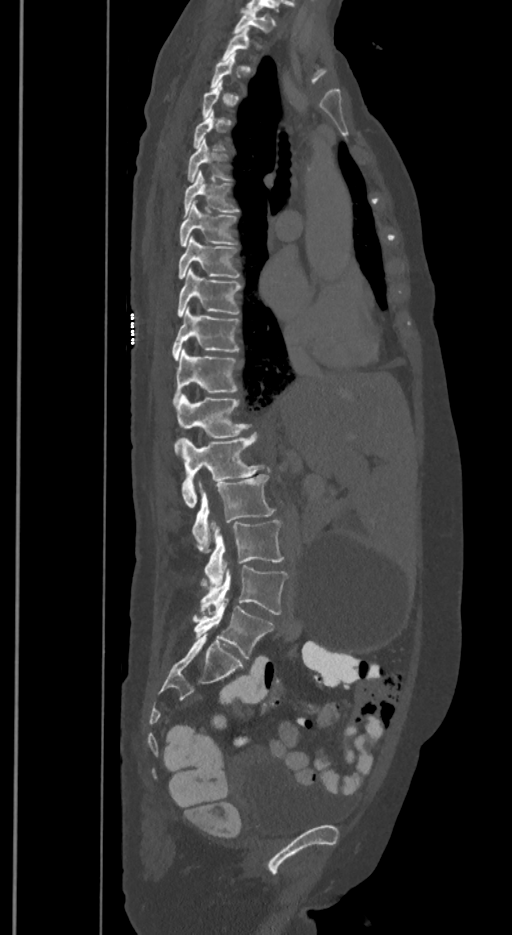

CT spine; sagittal reformat; Bone window (WL 400, WW 1800); 512x935 px
Each box given as x1,y1,x2,y2. A vertebra is boxed only from the first to the last slice where its cross-section is at least a third of its largest; slices outside that range leave it without a box. These labels give the spine a sixth lumbar vertebra, L6, below L5. Vertebrae labeled: T1 at x1=233, y1=9, x2=275, y2=33, T6 at x1=187, y1=140, x2=226, y2=181, T7 at x1=184, y1=170, x2=239, y2=216, T8 at x1=180, y1=200, x2=236, y2=247, T9 at x1=178, y1=236, x2=239, y2=278, T10 at x1=177, y1=267, x2=240, y2=316, T11 at x1=172, y1=307, x2=239, y2=361, T12 at x1=174, y1=349, x2=237, y2=403, L1 at x1=174, y1=395, x2=249, y2=455, L2 at x1=179, y1=433, x2=265, y2=507, L3 at x1=191, y1=474, x2=275, y2=552, L4 at x1=205, y1=520, x2=283, y2=586, L5 at x1=200, y1=563, x2=287, y2=615, L6 at x1=193, y1=598, x2=274, y2=659.